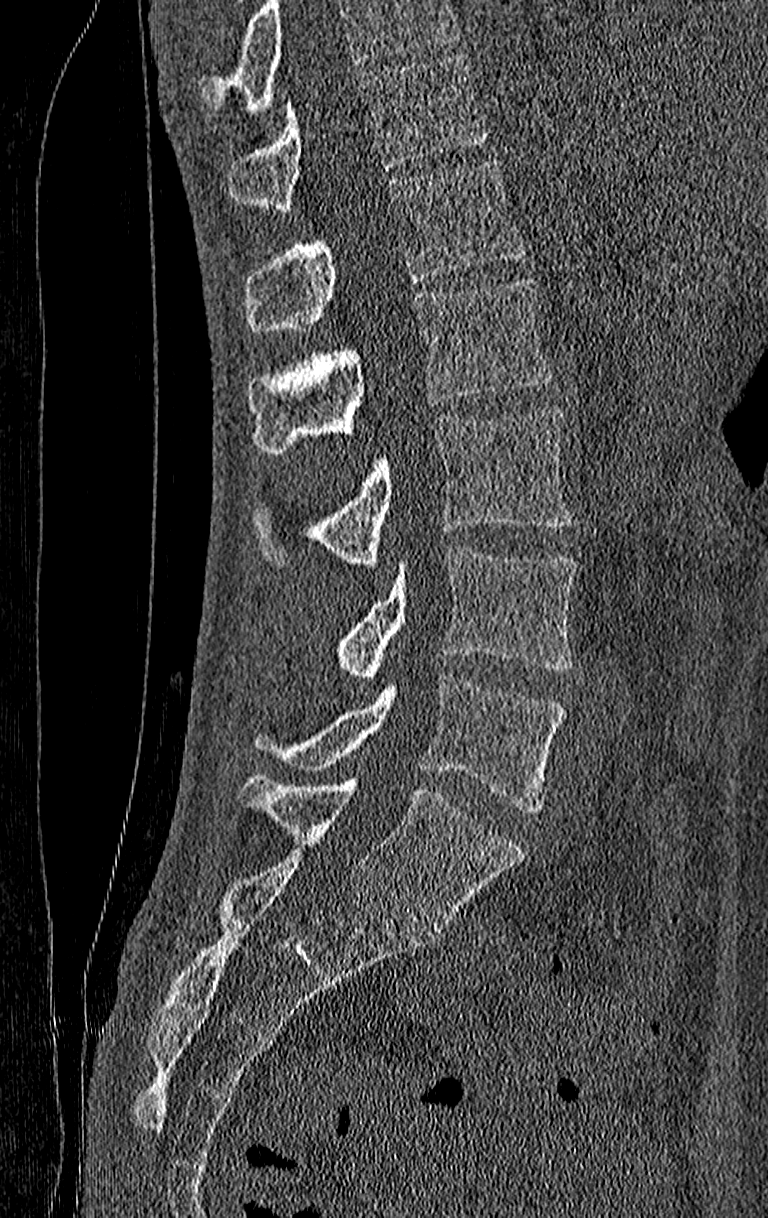
Spine computed tomography · sagittal view · bone window
Box values are [left, top, right, bottom] in pixels.
Where the top of the scan cuts through a vertebra, that vertebra gets no label or box.
Labels in this scan begin with T11 at the top and end with L4 at the bottom.
{"vertebrae":{"L4":[255,673,565,812],"L3":[335,546,575,677],"L2":[251,410,575,567],"L1":[247,278,554,453],"T12":[244,158,524,333],"T11":[229,53,488,211]}}